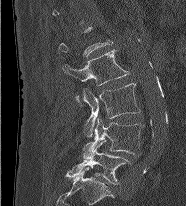
Computed tomography of the spine; sagittal view

Boxes: x1 y1 x2 y2 (pixel coords, space-separated). A vertebra is boxed only from the first to the last slice where its cross-section is at least a third of its largest; slices outside that range leave it without a box. The labeled vertebrae in this slice are: L2 at 62 49 129 102, L3 at 83 83 140 136, L4 at 83 118 144 159, L5 at 65 141 130 184.